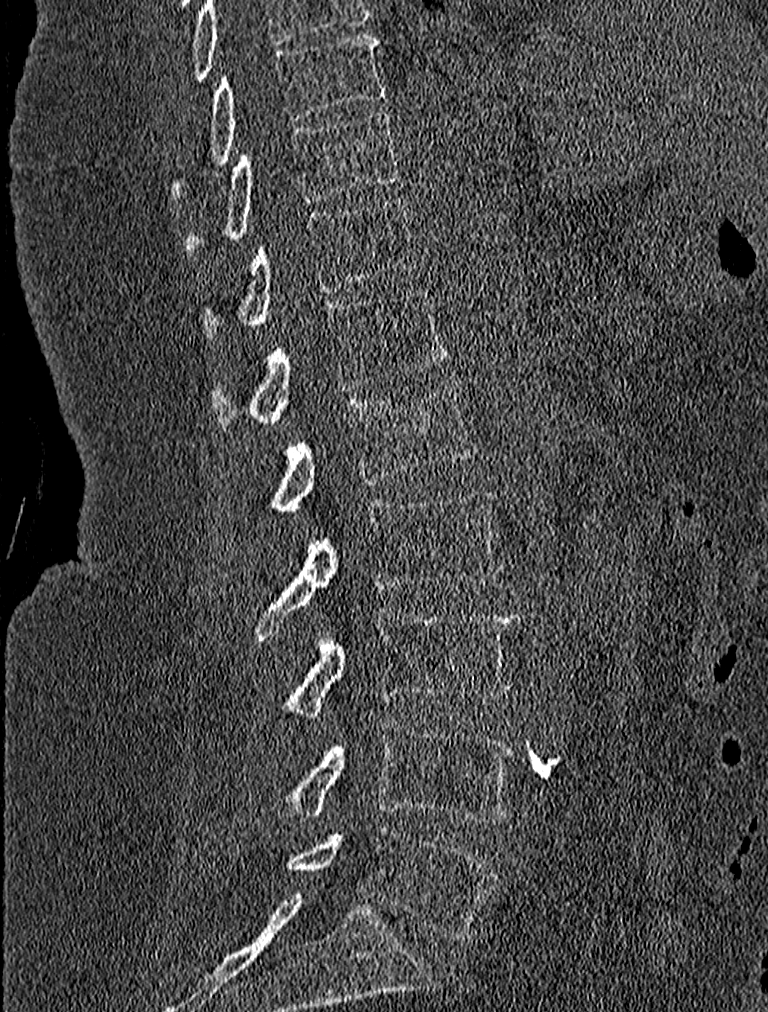

Computed tomography of the spine. sagittal view. Bone window (WL 400, WW 1800). 768x1012 px
Boxes below are [x1, y1, x2, y2] in pixels.
{"vertebrae":{"L5":[286,827,495,941],"L4":[276,719,514,823],"L3":[280,607,519,718],"L2":[253,490,502,640],"L1":[266,382,478,515],"T12":[212,288,448,428],"T11":[202,196,417,337],"T10":[182,108,400,256],"T9":[171,33,387,198]}}